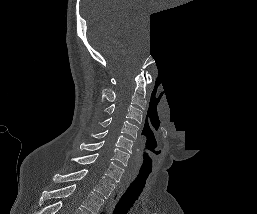

CT spine; the image is 257 mm wide; sagittal reformat; a portion of the image is blanked out (constant pixel value)
Boxes are (x1, y1, x2, y2) in pixels. Labels in this scan begin with C1 at the top and end with T1 at the bottom. Vertebrae labeled: C1 at (110, 71, 151, 84), C2 at (101, 69, 148, 109), C3 at (104, 103, 142, 123), C4 at (99, 117, 138, 139), C5 at (91, 130, 133, 153), C6 at (79, 140, 129, 166), C7 at (70, 153, 124, 181), T1 at (53, 169, 115, 198).